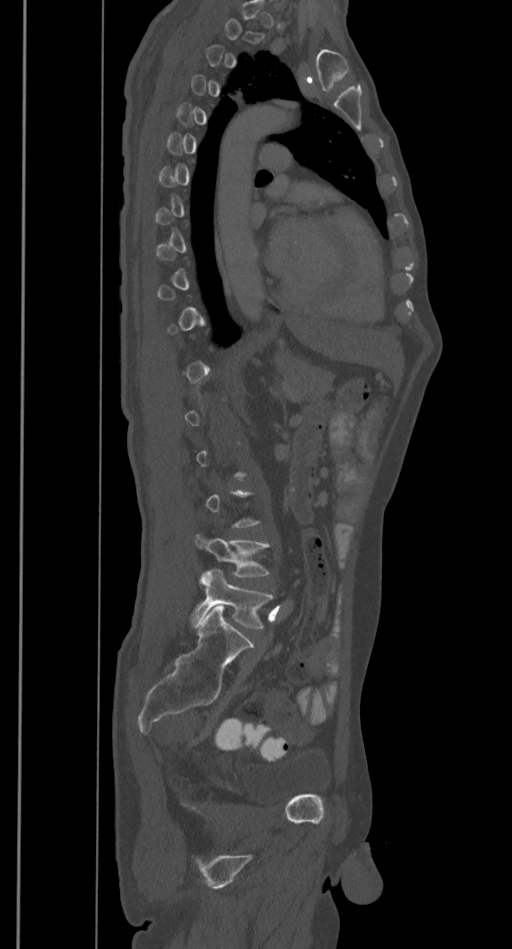
Spine CT. sagittal view. Each box given as x1,y1,x2,y2.
Each vertebra is boxed only on the slices from the first to the last where its cross-section reaches a third of its largest, so a slice outside that range leaves it unboxed.
Vertebra bounding boxes:
- L5: x1=191, y1=569, x2=274, y2=629
- L4: x1=194, y1=533, x2=270, y2=577